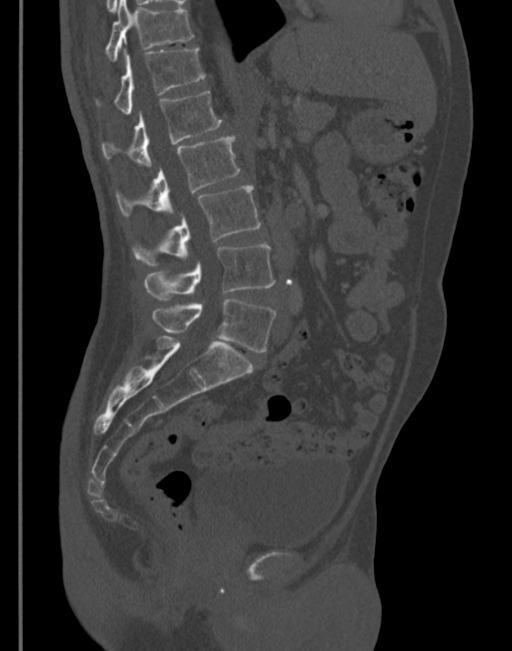
CT, spine; sagittal view; 345 mm wide; Bone window (WL 400, WW 1800); 512x651 px. Bounding boxes as [x1, y1, x2, y2] in pixel coordinates. Vertebrae labeled: T11 at [105, 0, 193, 61], T12 at [95, 49, 205, 114], L1 at [101, 91, 223, 166], L2 at [116, 135, 239, 216], L3 at [132, 186, 260, 267], L4 at [144, 245, 275, 301], L5 at [153, 299, 276, 352].